Spine computed tomography · sagittal plane, index 248 · 512x747 px · scan covers 12 annotated vertebrae
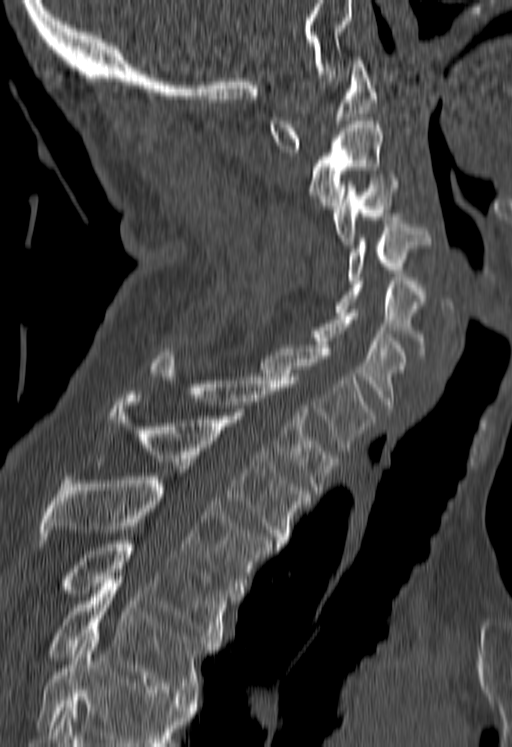
A vertebra cut off by the bottom edge of the scan is not labeled and has no box.
<vertebrae><v name="C1" x1="269" y1="57" x2="377" y2="152"/><v name="C2" x1="308" y1="117" x2="381" y2="212"/><v name="C3" x1="334" y1="174" x2="398" y2="248"/><v name="C4" x1="345" y1="220" x2="430" y2="280"/><v name="C5" x1="334" y1="277" x2="424" y2="355"/><v name="C6" x1="308" y1="309" x2="407" y2="411"/><v name="C7" x1="260" y1="345" x2="373" y2="454"/><v name="T1" x1="149" y1="348" x2="336" y2="493"/><v name="T2" x1="106" y1="391" x2="310" y2="547"/><v name="T3" x1="40" y1="473" x2="270" y2="596"/><v name="T4" x1="66" y1="530" x2="230" y2="650"/><v name="T5" x1="49" y1="580" x2="213" y2="699"/></vertebrae>